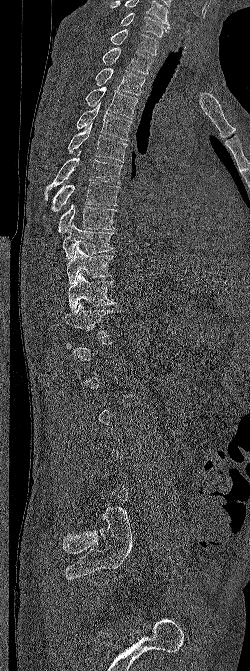 Spine CT. the image spans 250 mm across. sagittal reformat

Boxes below are [x1, y1, x2, y2] in pixels.
Not every vertebra on this slice has a box: a vertebra is boxed only from the first to the last slice where its cross-section is at least a third of its largest, and this slice is outside that range for at least one of them.
This scan's labels start at C6 at the top and end at L5 at the bottom.
{"vertebrae":{"C6":[120,12,171,37],"C7":[110,29,158,55],"T1":[102,47,152,74],"T2":[95,68,145,95],"T3":[85,86,137,118],"T4":[76,102,132,140],"T5":[68,123,127,162],"T6":[44,150,122,200],"T7":[43,182,120,219],"T8":[58,202,117,233],"T9":[62,223,114,259],"T10":[66,245,114,284],"T11":[68,272,116,312],"T12":[62,302,115,338]}}